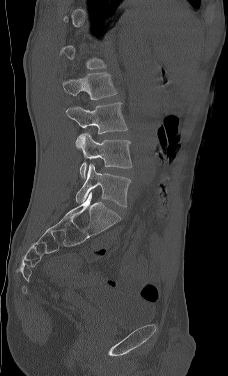

Spine computed tomography — sagittal view — Bone window (WL 400, WW 1800)

Boxes are (x1, y1, x2, y2) in pixels.
A vertebra gets a box only on the slices from the first to the last where its cross-section is at least a third of its largest; on a slice outside that range it gets none.
Vertebra bounding boxes:
- L2: (62, 72, 117, 100)
- L3: (66, 102, 127, 134)
- L4: (76, 132, 132, 179)
- L5: (75, 163, 131, 207)